Spine computed tomography. sagittal plane, index 236. Bone window (WL 400, WW 1800). a uniform gray block covers part of the image
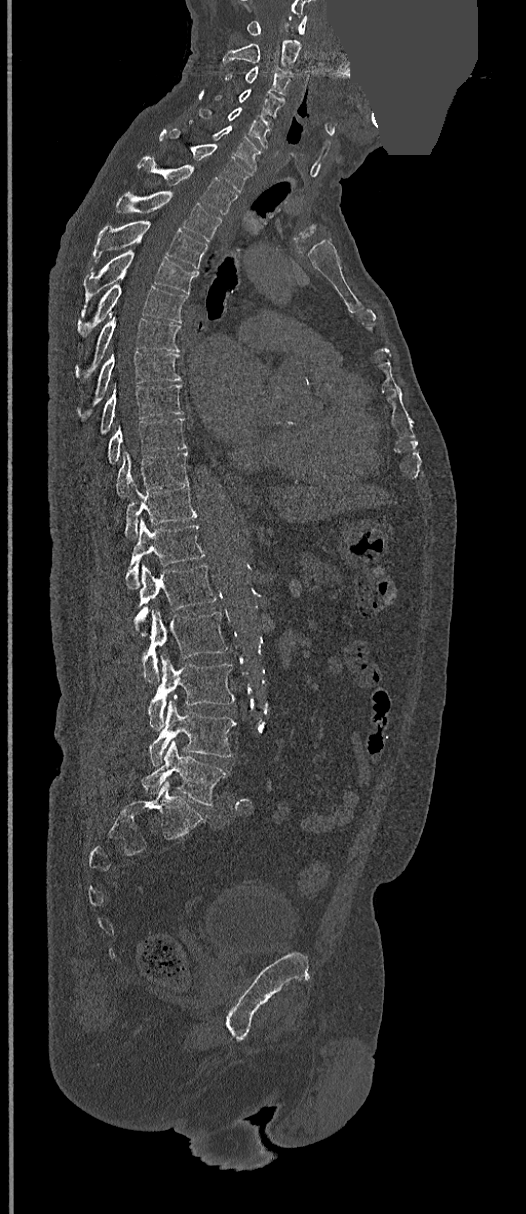

Each box is [x1, y1, x2, y2] in pixels: top-left corner, then bottom-right corner.
{"vertebrae":{"C1":[246,16,307,35],"C2":[223,39,300,68],"C3":[227,66,291,94],"C4":[215,89,283,116],"C5":[199,107,270,148],"C6":[214,126,262,170],"C7":[160,131,251,192],"T1":[139,159,236,213],"T2":[115,191,222,240],"T3":[92,220,207,269],"T4":[84,250,197,299],"T5":[78,284,187,336],"T6":[76,316,180,376],"T7":[94,351,180,403],"T8":[100,381,183,433],"T9":[107,417,186,463],"T10":[117,450,189,498],"T11":[125,483,196,538],"T12":[125,520,204,588],"L1":[135,564,216,635],"L2":[143,609,227,683],"L3":[148,653,234,729],"L4":[148,698,236,766],"L5":[143,740,229,806]}}